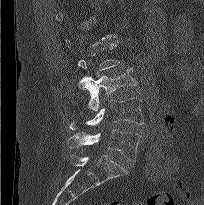

CT. sagittal reformat. bone window
Box edges are left/top/right/bottom in pixels.
Not every vertebra on this slice has a box: a vertebra is boxed only from the first to the last slice where its cross-section is at least a third of its largest, and this slice is outside that range for at least one of them.
| vertebra | x1 | y1 | x2 | y2 |
|---|---|---|---|---|
| L3 | 78 | 68 | 136 | 112 |
| L4 | 69 | 97 | 144 | 130 |
| L5 | 68 | 129 | 140 | 161 |